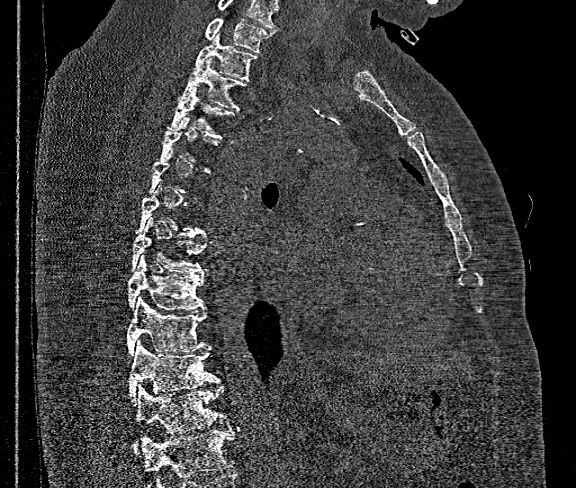

Spine computed tomography · sagittal view · Bone window (WL 400, WW 1800). Each box given as x1,y1,x2,y2.
Each vertebra is boxed only on the slices from the first to the last where its cross-section reaches a third of its largest, so a slice outside that range leaves it unboxed.
Vertebrae that run past the bottom of the scan are left unlabeled.
Labels in this scan begin with T1 at the top and end with T12 at the bottom.
T12: x1=133, y1=384, x2=230, y2=454
T11: x1=129, y1=341, x2=219, y2=401
T10: x1=126, y1=297, x2=207, y2=355
T9: x1=128, y1=256, x2=205, y2=310
T8: x1=130, y1=218, x2=205, y2=275
T7: x1=136, y1=186, x2=207, y2=236
T4: x1=168, y1=87, x2=235, y2=139
T3: x1=179, y1=58, x2=246, y2=110
T2: x1=195, y1=31, x2=258, y2=79
T1: x1=205, y1=18, x2=272, y2=52